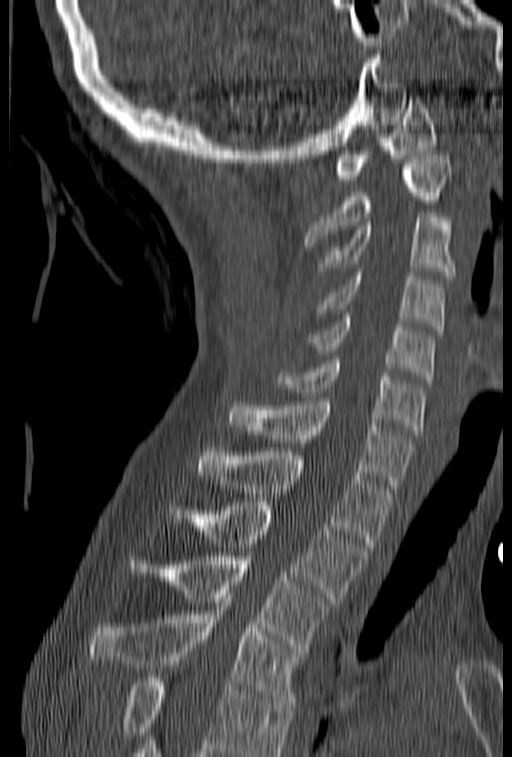

CT. sagittal reformat. 512x757 px
Each box is [x1, y1, x2, y2] in pixels: top-left corner, then bottom-right corner.
No box is given to a vertebra that the bottom edge of the scan cuts off.
{"vertebrae":{"T4":[88,598,305,706],"T3":[128,552,335,652],"T2":[167,502,368,601],"T1":[198,448,392,547],"C7":[225,397,415,488],"C6":[276,360,425,434],"C5":[305,314,435,380],"C4":[316,272,445,334],"C3":[318,213,455,279],"C2":[304,155,452,246],"C1":[335,96,437,183]}}